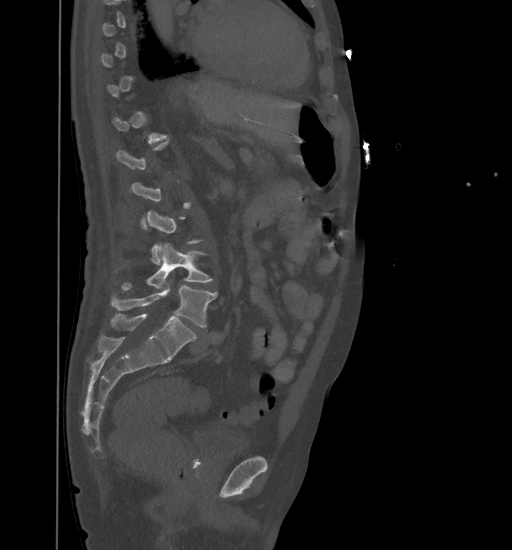
CT — sagittal view — Bone window (WL 400, WW 1800)

Not every vertebra on this slice has a box: a vertebra is boxed only from the first to the last slice where its cross-section is at least a third of its largest, and this slice is outside that range for at least one of them.
<vertebrae><v name="L5" x1="111" y1="283" x2="217" y2="327"/><v name="L4" x1="121" y1="243" x2="213" y2="289"/></vertebrae>